CT, spine — sagittal view — bone window
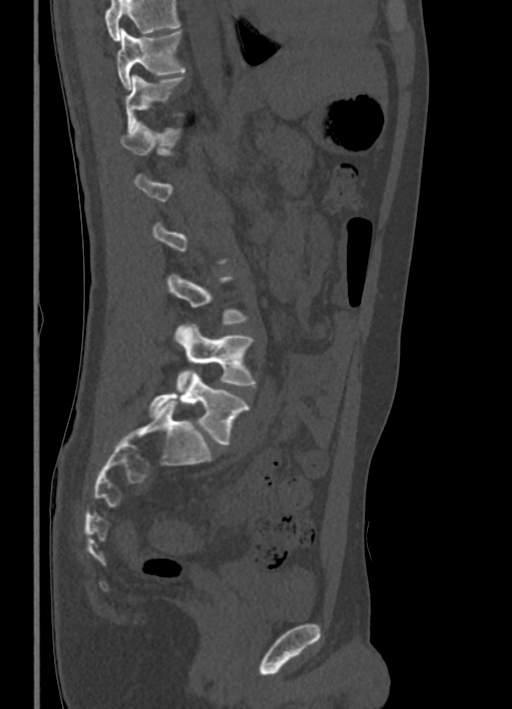

Each box given as x1,y1,x2,y2.
Not every vertebra on this slice has a box: a vertebra is boxed only from the first to the last slice where its cross-section is at least a third of its largest, and this slice is outside that range for at least one of them.
A vertebra cut off by the top edge of the scan is not labeled and has no box.
T10: x1=117, y1=29, x2=186, y2=89
T11: x1=126, y1=74, x2=185, y2=133
T12: x1=120, y1=122, x2=182, y2=154
L3: x1=167, y1=273, x2=249, y2=323
L4: x1=176, y1=324, x2=256, y2=392
L5: x1=149, y1=372, x2=249, y2=445